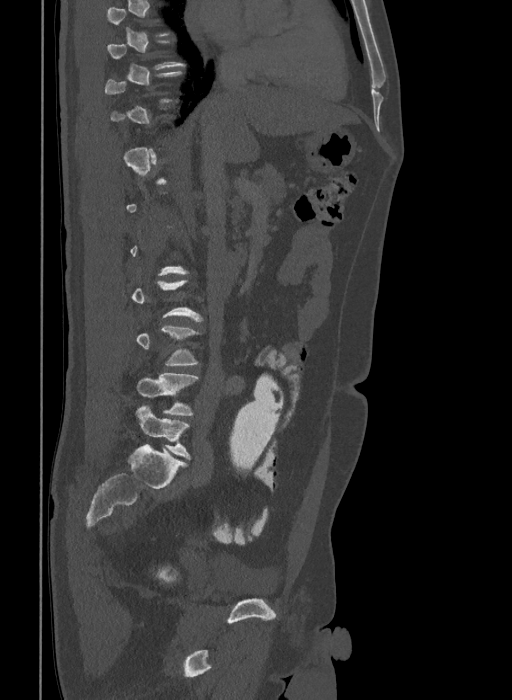

Spine computed tomography · sagittal view · the image is 409 mm wide · 512x700 px. Boxes: x1 y1 x2 y2 (pixel coords, space-separated).
Not every vertebra on this slice has a box: a vertebra is boxed only from the first to the last slice where its cross-section is at least a third of its largest, and this slice is outside that range for at least one of them.
In these labels the spine has an L6, a sixth lumbar vertebra below L5.
Vertebra bounding boxes:
- L4: 136 326 202 365
- L5: 136 373 199 415
- L6: 135 406 190 459